Computed tomography of the spine; sagittal reformat; bone-window reconstruction; 512x681 px
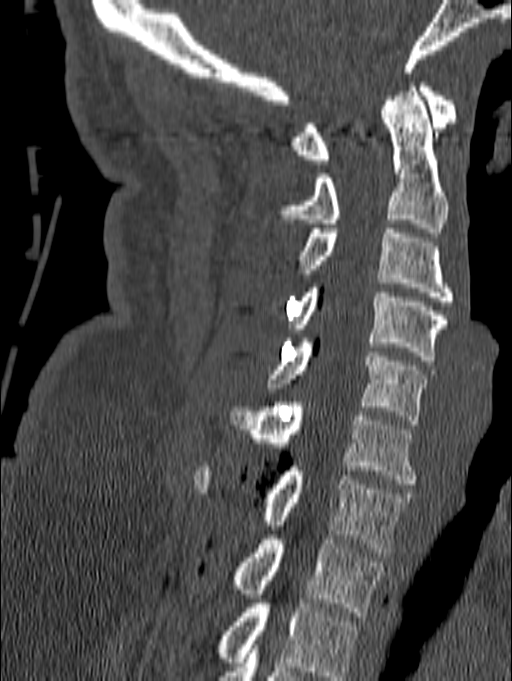
Labels in this scan begin with C1 at the top and end with T1 at the bottom.
<vertebrae><v name="T1" x1="232" y1="535" x2="384" y2="616"/><v name="C7" x1="195" y1="466" x2="414" y2="557"/><v name="C6" x1="231" y1="402" x2="417" y2="484"/><v name="C5" x1="268" y1="338" x2="434" y2="424"/><v name="C4" x1="290" y1="283" x2="447" y2="360"/><v name="C3" x1="298" y1="229" x2="454" y2="305"/><v name="C2" x1="279" y1="82" x2="447" y2="232"/><v name="C1" x1="290" y1="78" x2="456" y2="164"/></vertebrae>